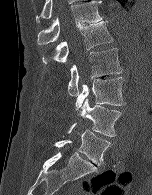 Computed tomography of the spine; sagittal view; bone window

Each row gives a vertebra's box as x1, y1, x2, y2 in pixels: top-left corner, then bottom-right corner.
| vertebra | x1 | y1 | x2 | y2 |
|---|---|---|---|---|
| L5 | 54 | 130 | 110 | 165 |
| L4 | 67 | 98 | 121 | 136 |
| L3 | 75 | 77 | 125 | 110 |
| L2 | 67 | 48 | 122 | 96 |
| L1 | 42 | 21 | 113 | 64 |
| T12 | 37 | 1 | 103 | 44 |